Spine CT. sagittal plane, index 266. 394 mm image width. 563x990 px. 16 vertebrae labeled in this scan
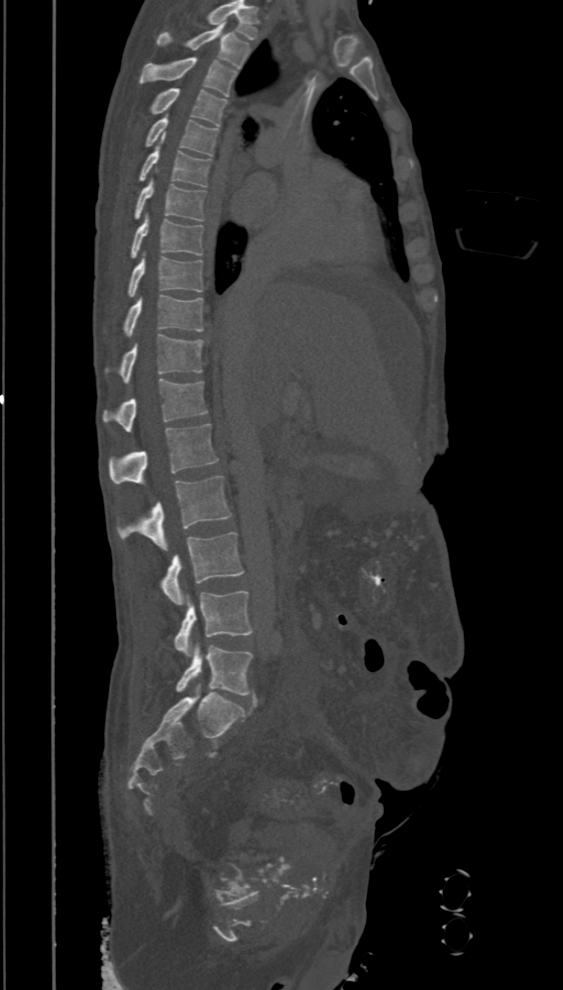

Columns x1, y1, x2, y2 give each box's top-left and bottom-right pixels.
Labels in this scan begin with T2 at the top and end with L5 at the bottom.
| vertebra | x1 | y1 | x2 | y2 |
|---|---|---|---|---|
| T2 | 157 | 23 | 251 | 69 |
| T3 | 140 | 57 | 238 | 96 |
| T4 | 152 | 87 | 228 | 126 |
| T5 | 145 | 115 | 218 | 155 |
| T6 | 139 | 137 | 210 | 186 |
| T7 | 134 | 177 | 205 | 221 |
| T8 | 131 | 213 | 203 | 258 |
| T9 | 129 | 252 | 203 | 296 |
| T10 | 124 | 295 | 203 | 336 |
| T11 | 120 | 335 | 203 | 382 |
| T12 | 102 | 379 | 208 | 432 |
| L1 | 109 | 423 | 219 | 484 |
| L2 | 117 | 476 | 232 | 550 |
| L3 | 159 | 532 | 243 | 604 |
| L4 | 174 | 590 | 253 | 656 |
| L5 | 175 | 641 | 253 | 695 |